Spine computed tomography · Sagittal slice 334/512
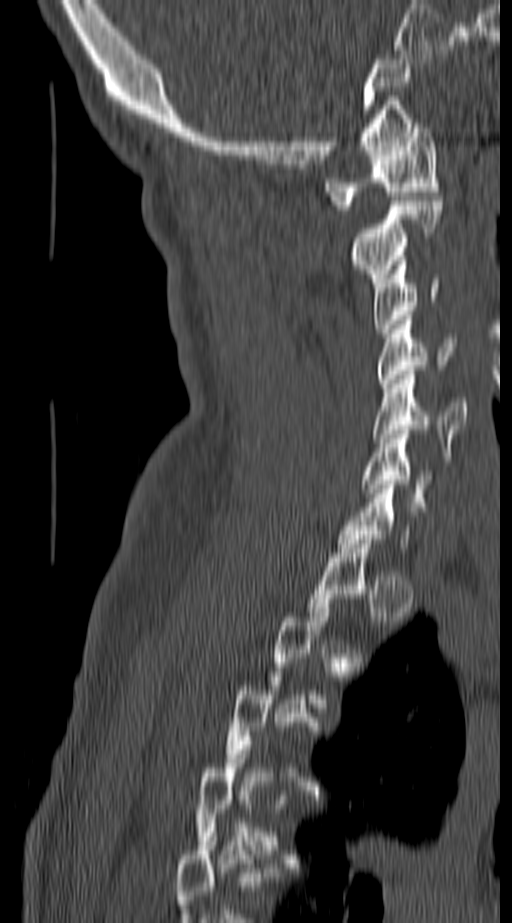
Box values are [left, top, right, bottom] in pixels.
A vertebra is boxed only from the first to the last slice where its cross-section is at least a third of its largest; slices outside that range leave it without a box.
{"vertebrae":{"C1":[323,123,439,214],"C2":[349,201,443,287],"C3":[371,261,441,337],"C4":[378,320,454,388],"C5":[372,370,466,452],"C6":[362,430,436,506]}}